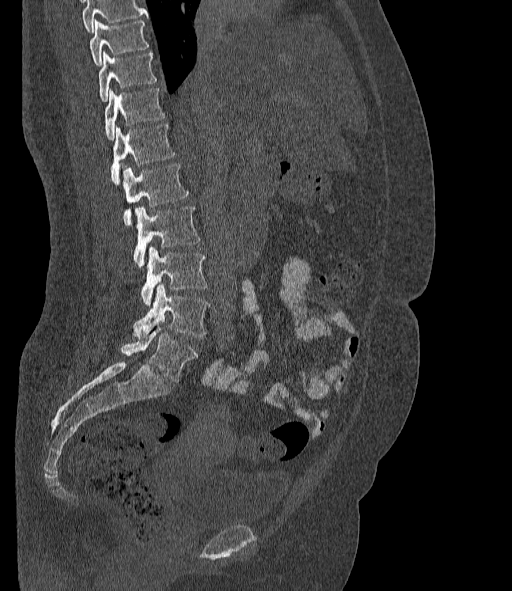
CT. sagittal view. bone window. 512x591 px
Where the top of the scan cuts through a vertebra, that vertebra gets no label or box.
In these labels the spine has an L6, a sixth lumbar vertebra below L5.
<vertebrae><v name="T10" x1="89" y1="20" x2="148" y2="66"/><v name="T11" x1="99" y1="52" x2="156" y2="101"/><v name="T12" x1="104" y1="88" x2="165" y2="140"/><v name="L1" x1="111" y1="124" x2="174" y2="184"/><v name="L2" x1="123" y1="163" x2="189" y2="226"/><v name="L3" x1="133" y1="206" x2="200" y2="268"/><v name="L4" x1="141" y1="247" x2="207" y2="305"/><v name="L5" x1="133" y1="284" x2="209" y2="336"/><v name="L6" x1="121" y1="323" x2="197" y2="382"/></vertebrae>